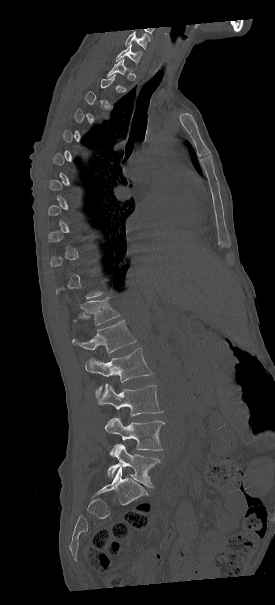 CT — sagittal view — 275x605 px

Each box given as x1,y1,x2,y2.
A vertebra is boxed only from the first to the last slice where its cross-section is at least a third of its largest; slices outside that range leave it without a box.
In this scan, the topmost labeled vertebra is C7 and the lowest is L5.
Vertebra bounding boxes:
- C7: x1=116, y1=44, x2=142, y2=65
- T12: x1=72, y1=297, x2=119, y2=325
- L1: x1=73, y1=320, x2=136, y2=353
- L2: x1=85, y1=348, x2=152, y2=398
- L3: x1=97, y1=384, x2=162, y2=415
- L4: x1=105, y1=417, x2=164, y2=456
- L5: x1=107, y1=443, x2=160, y2=487